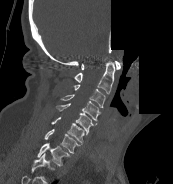
Computed tomography of the spine — sagittal view — some of the image was removed or blocked out with constant pixels

Coordinates as <box>x1,y1,x2,y2</box>.
In this scan, the topmost labeled vertebra is C1 and the lowest is T1.
C1: <box>81,61,120,69</box>
C2: <box>74,61,114,93</box>
C3: <box>73,84,105,107</box>
C4: <box>60,94,100,121</box>
C5: <box>56,103,97,134</box>
C6: <box>51,117,84,144</box>
C7: <box>44,129,80,153</box>
T1: <box>37,142,70,166</box>